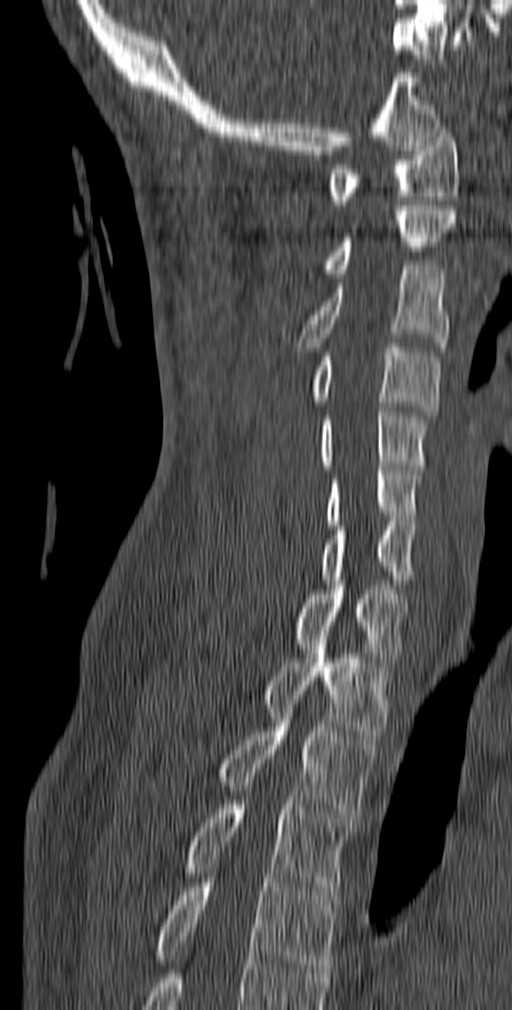
Spine CT — sagittal reformat
Box values are [left, top, right, bottom] in pixels.
{"vertebrae":{"C1":[327,128,460,209],"C2":[323,206,456,278],"C3":[297,265,450,351],"C4":[312,343,440,415],"C5":[320,407,428,470],"C6":[325,466,421,525],"C7":[320,521,414,584],"T1":[293,581,409,666],"T2":[265,631,391,740],"T3":[217,718,376,817],"T4":[180,800,353,900],"T5":[103,878,339,996]}}